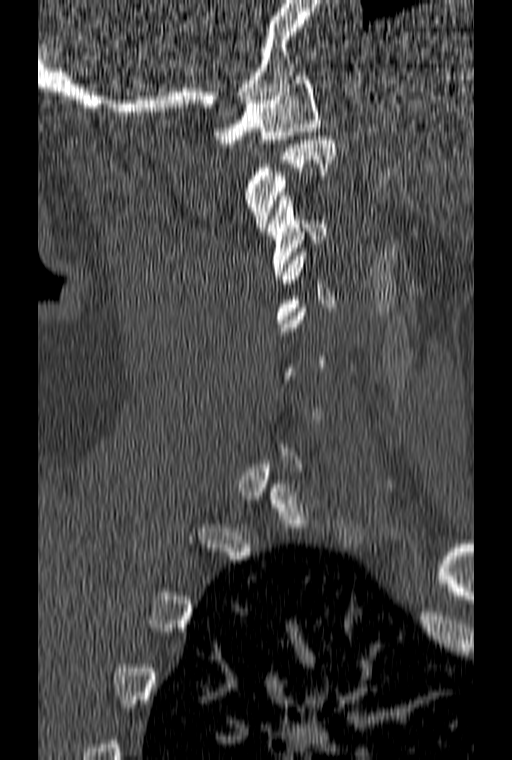

Spine computed tomography; sagittal reformat. Coordinates as <box>x1,y1,x2,y2</box>. A vertebra is boxed only from the first to the last slice where its cross-section is at least a third of its largest; slices outside that range leave it without a box. The labeled vertebrae in this slice are: C3 at <box>267,192,326,279</box>, C2 at <box>244,136,335,231</box>, C1 at <box>214,72,320,143</box>.